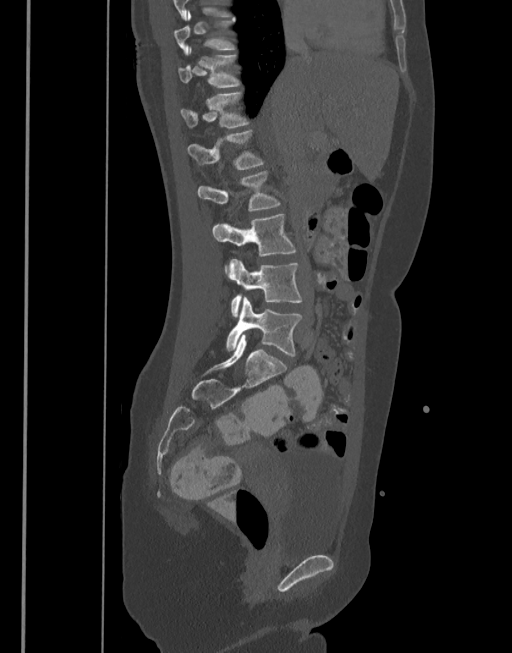
CT, spine — sagittal view — 512x653 px
<vertebrae><v name="T10" x1="174" y1="10" x2="234" y2="54"/><v name="T11" x1="177" y1="48" x2="239" y2="87"/><v name="T12" x1="180" y1="92" x2="249" y2="127"/><v name="L1" x1="187" y1="130" x2="264" y2="170"/><v name="L2" x1="198" y1="171" x2="280" y2="210"/><v name="L3" x1="212" y1="214" x2="296" y2="256"/><v name="L4" x1="227" y1="259" x2="301" y2="317"/><v name="L5" x1="226" y1="297" x2="303" y2="356"/></vertebrae>